CT, spine. sagittal view. bone window. 283x239 px. a region is blanked to uniform black, ending in a straight edge
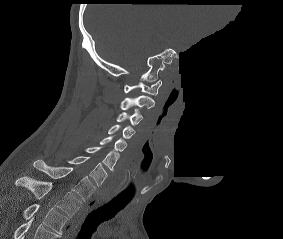
Each row gives a vertebra's box as x1, y1, x2, y2 in pixels: top-left corner, then bottom-right corner.
Labels in this scan begin with C1 at the top and end with T2 at the bottom.
| vertebra | x1 | y1 | x2 | y2 |
|---|---|---|---|---|
| C1 | 124 | 79 | 161 | 95 |
| C2 | 120 | 95 | 154 | 109 |
| C3 | 116 | 109 | 142 | 125 |
| C4 | 108 | 124 | 135 | 138 |
| C5 | 99 | 136 | 126 | 151 |
| C6 | 85 | 147 | 120 | 171 |
| C7 | 68 | 156 | 107 | 186 |
| T1 | 33 | 160 | 97 | 201 |
| T2 | 15 | 176 | 81 | 217 |